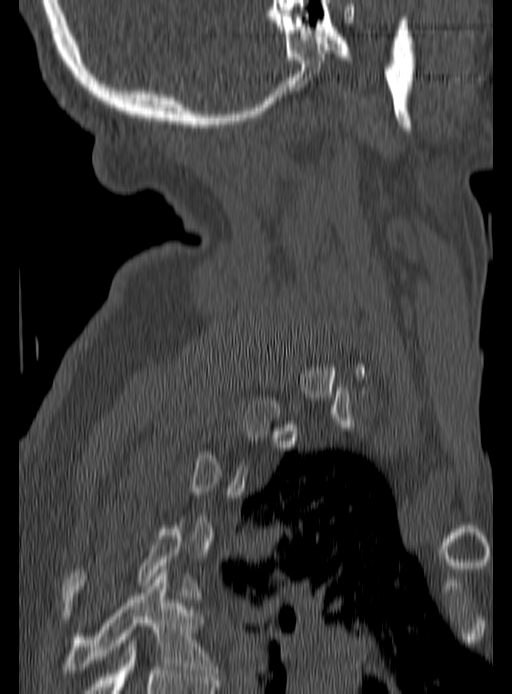

Computed tomography of the spine; sagittal view; the image spans 190 mm across; bone-window reconstruction
Box edges are left/top/right/bottom in pixels.
A vertebra gets a box only on the slices from the first to the last where its cross-section is at least a third of its largest; on a slice outside that range it gets none.
Vertebra bounding boxes:
- T4: left=63, top=525, right=199, bottom=605
- T5: left=66, top=569, right=218, bottom=676